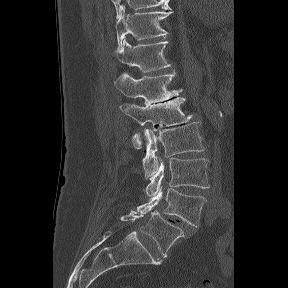 CT; sagittal view; image width 288 mm
Each vertebra maps to its box as [x1, y1, x2, y2], the pixel coordinates of its top-left and bottom-right corners.
The highest labeled vertebra in this scan is T11; the lowest is L6.
In these labels the spine has an L6, a sixth lumbar vertebra below L5.
{"vertebrae":{"T11":[116,10,172,48],"T12":[116,37,171,76],"L1":[114,71,182,105],"L2":[120,97,192,148],"L3":[143,122,204,178],"L4":[145,158,209,196],"L5":[137,186,206,227],"L6":[120,210,184,257]}}